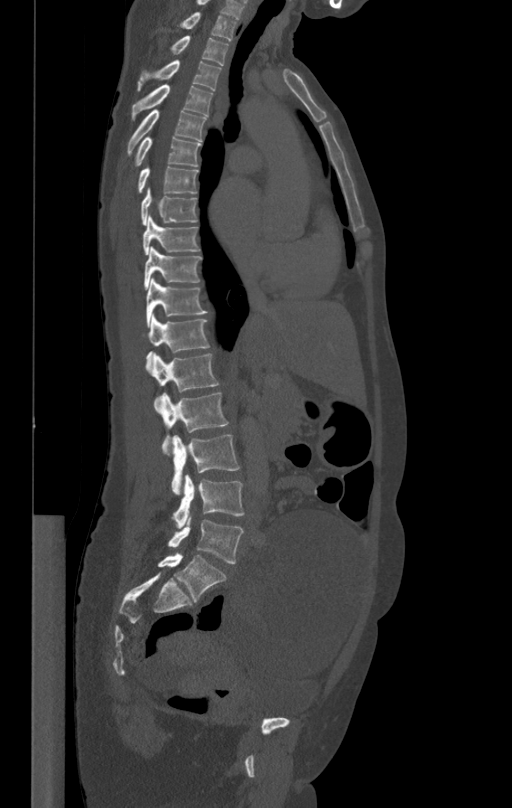
Spine CT — sagittal view — bone window — 512x808 px
<vertebrae><v name="L5" x1="168" y1="517" x2="244" y2="563"/><v name="L4" x1="173" y1="474" x2="244" y2="527"/><v name="L3" x1="171" y1="435" x2="240" y2="494"/><v name="L2" x1="159" y1="393" x2="229" y2="455"/><v name="L1" x1="153" y1="352" x2="219" y2="408"/><v name="T12" x1="146" y1="315" x2="209" y2="371"/><v name="T11" x1="147" y1="278" x2="208" y2="327"/><v name="T10" x1="144" y1="246" x2="201" y2="288"/><v name="T9" x1="143" y1="216" x2="200" y2="255"/><v name="T8" x1="140" y1="189" x2="198" y2="225"/><v name="T7" x1="138" y1="167" x2="198" y2="192"/><v name="T6" x1="133" y1="136" x2="200" y2="167"/><v name="T5" x1="127" y1="110" x2="206" y2="156"/><v name="T4" x1="132" y1="84" x2="213" y2="121"/><v name="T3" x1="137" y1="59" x2="220" y2="91"/><v name="T2" x1="171" y1="36" x2="228" y2="65"/><v name="T1" x1="176" y1="12" x2="236" y2="39"/></vertebrae>